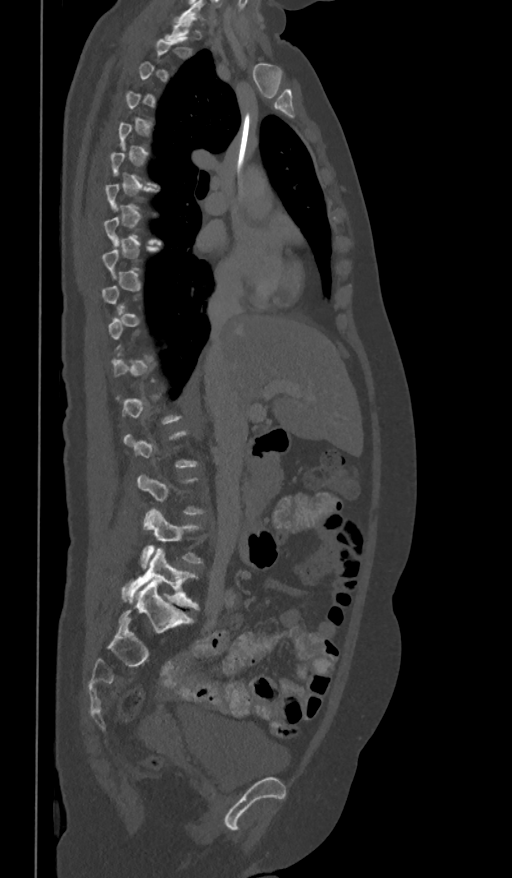

Spine computed tomography; sagittal view
Boxes: x1 y1 x2 y2 (pixel coords, space-separated).
A vertebra gets a box only on the slices from the first to the last where its cross-section is at least a third of its largest; on a slice outside that range it gets none.
Vertebra bounding boxes:
- L4: 142 508 203 568
- L5: 122 548 199 609